Computed tomography of the spine; sagittal plane, index 247
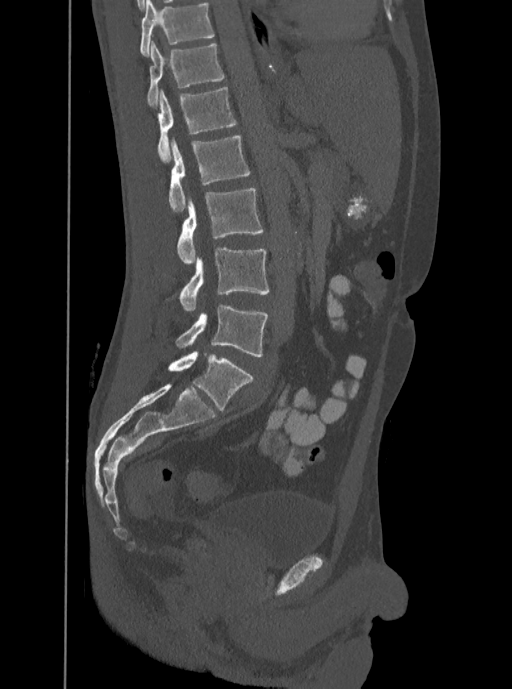

Boxes: x1 y1 x2 y2 (pixel coords, space-separated). The highest labeled vertebra in this scan is T12; the lowest is L5. Vertebrae labeled: T12 at 147 41 224 106, L1 at 157 87 237 162, L2 at 168 136 250 212, L3 at 177 188 264 264, L4 at 178 249 269 310, L5 at 175 305 268 357.